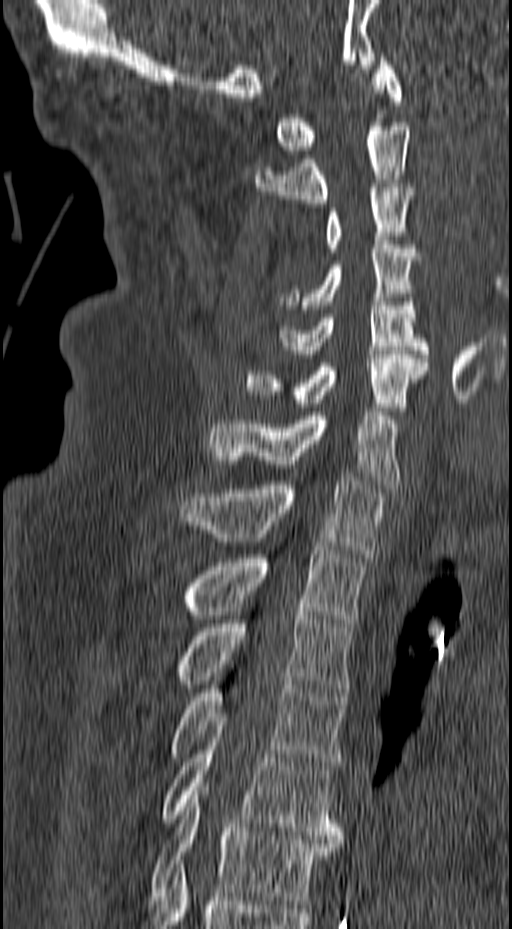 Spine computed tomography. sagittal view. W/L 1800/400 HU. 512x929 px
Boxes: x1 y1 x2 y2 (pixel coords, space-separated).
Vertebra bounding boxes:
- C1: 276 53 402 154
- C2: 255 122 410 207
- C3: 327 188 414 252
- C4: 278 241 420 309
- C5: 274 294 429 354
- C6: 245 351 428 411
- C7: 207 412 399 488
- T1: 180 477 385 557
- T2: 180 542 365 627
- T3: 174 607 352 692
- T4: 167 677 346 769
- T5: 160 726 343 839
- T6: 149 787 343 904